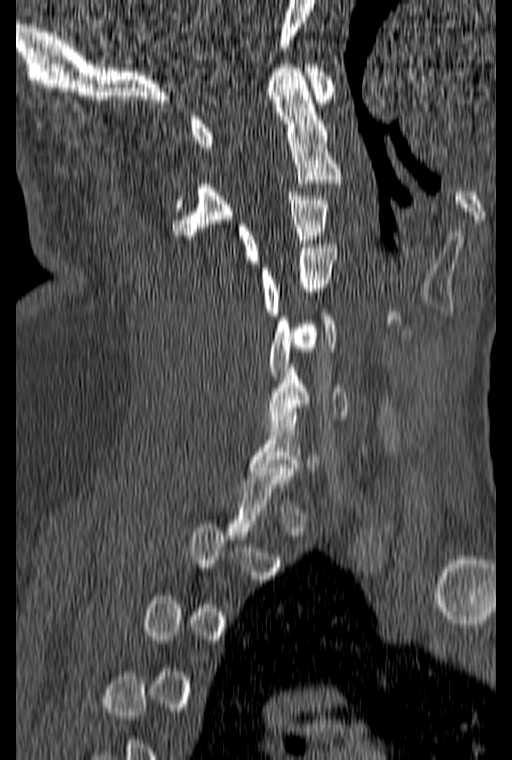

Spine computed tomography; sagittal reformat; 512x760 px
Bounding boxes as [x1, y1, x2, y2] in pixel coordinates. Not every vertebra on this slice has a box: a vertebra is boxed only from the first to the last slice where its cross-section is at least a third of its largest, and this slice is outside that range for at least one of them. 6 vertebrae labeled — C1 at [190, 64, 334, 147]; C2 at [172, 64, 342, 235]; C3 at [238, 192, 327, 263]; C4 at [260, 244, 336, 315]; C5 at [269, 312, 336, 379]; C6 at [264, 364, 347, 427].